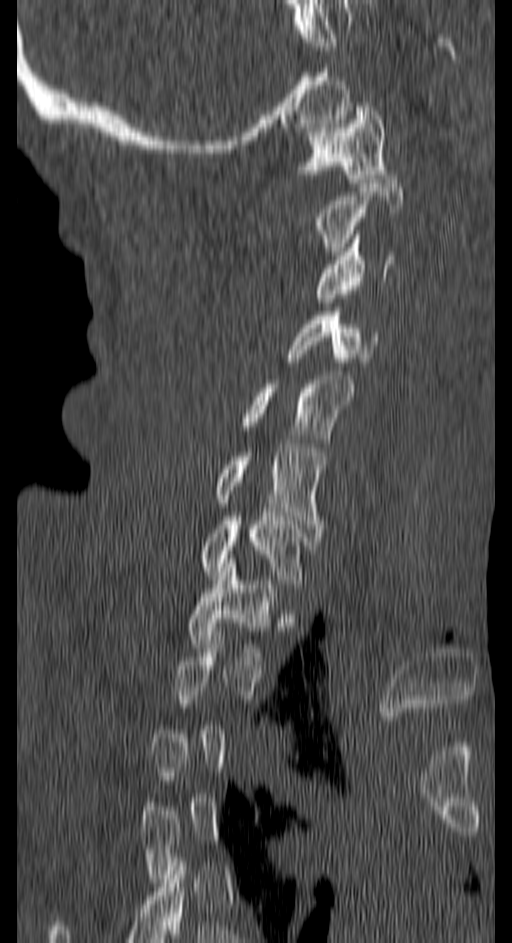

Computed tomography of the spine — sagittal view — 512x943 px
Box values are [left, top, right, bottom] in pixels.
A vertebra is boxed only from the first to the last slice where its cross-section is at least a third of its largest; slices outside that range leave it without a box.
{"vertebrae":{"C1":[298,102,386,182],"C2":[315,179,403,255],"C3":[315,230,394,302],"C4":[287,311,379,366],"C5":[240,375,354,438],"C6":[213,444,324,537],"C7":[199,516,307,592],"T1":[186,563,276,660]}}